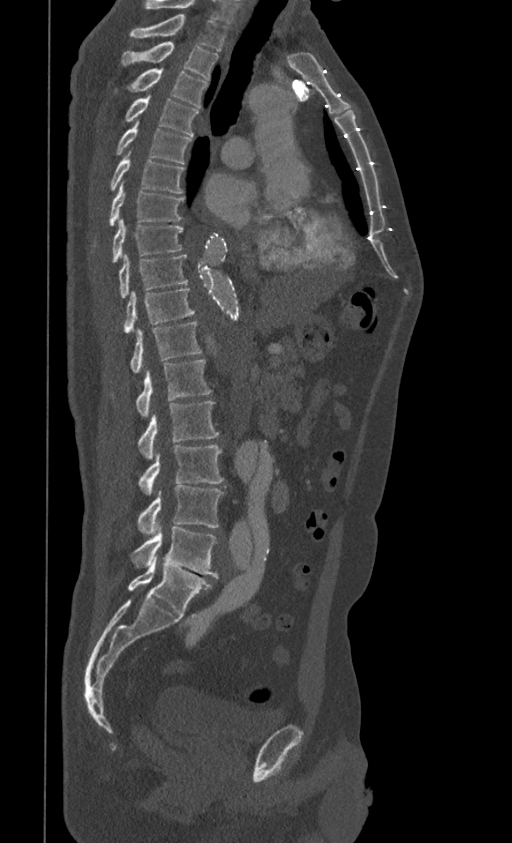

Computed tomography of the spine — sagittal view — bone-window reconstruction — 512x843 px
Each vertebra maps to its box as [x1, y1, x2, y2], the pixel coordinates of its top-left and bottom-right corners.
In this scan, the topmost labeled vertebra is T1 and the lowest is L5.
{"vertebrae":{"L5":[128,556,212,615],"L4":[131,527,218,578],"L3":[137,485,223,534],"L2":[138,446,223,494],"L1":[137,401,218,459],"T12":[111,359,212,416],"T11":[129,322,202,372],"T10":[123,288,194,333],"T9":[118,254,187,298],"T8":[111,219,182,262],"T7":[92,184,184,246],"T6":[110,152,184,193],"T5":[115,122,191,163],"T4":[124,96,199,136],"T3":[127,69,208,108],"T2":[120,42,218,80],"T1":[129,14,227,50]}}